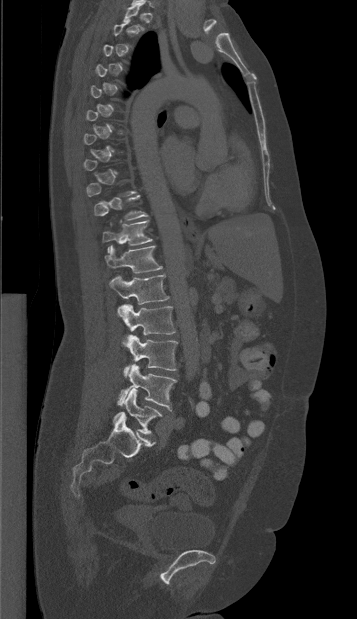

Spine CT — sagittal view — bone-window reconstruction
Box edges are left/top/right/bottom in pixels.
Not every vertebra on this slice has a box: a vertebra is boxed only from the first to the last slice where its cross-section is at least a third of its largest, and this slice is outside that range for at least one of them.
Vertebra bounding boxes:
- T10: left=94, top=195, right=148, bottom=225
- T11: left=102, top=220, right=152, bottom=251
- T12: left=105, top=245, right=162, bottom=273
- L1: left=109, top=275, right=169, bottom=304
- L2: left=117, top=304, right=175, bottom=335
- L3: left=124, top=335, right=177, bottom=376
- L4: left=117, top=364, right=176, bottom=410
- L5: left=113, top=389, right=162, bottom=434